CT, spine; sagittal plane, index 280; W/L 1800/400 HU
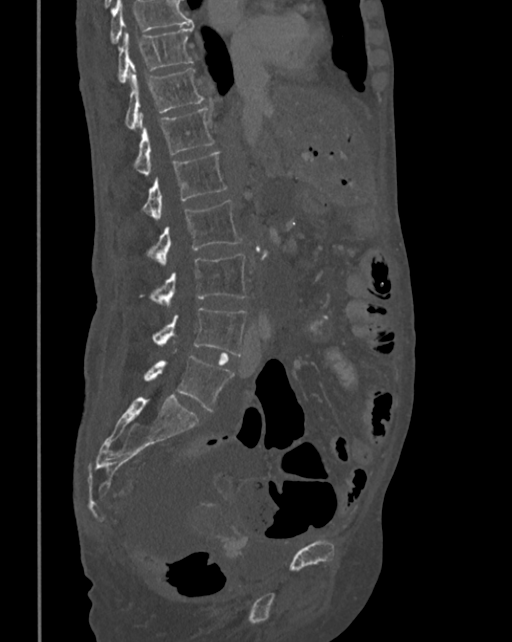

Boxes: x1:y1:x2:y2 in pixels. Where the top of the scan cuts through a vertebra, that vertebra gets no label or box. 8 vertebrae labeled — L5 at 143:355:234:411; L4 at 152:307:247:355; L3 at 151:254:246:308; L2 at 149:199:243:266; L1 at 143:152:226:221; T12 at 134:108:214:176; T11 at 126:68:204:130; T10 at 118:26:194:83.